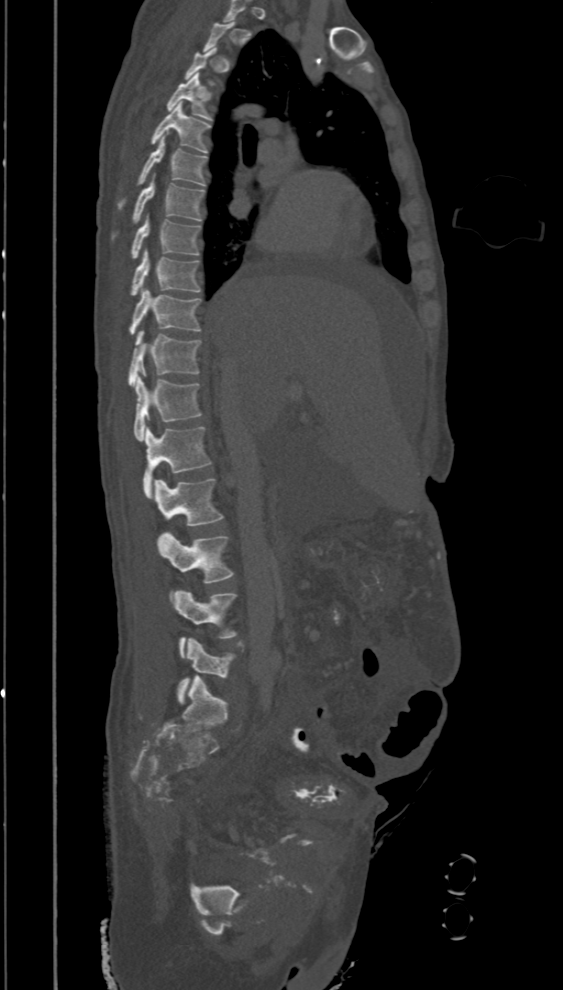 CT spine; sagittal reformat; the image is 394 mm wide

Boxes: x1:y1:x2:y2 in pixels. Each vertebra is boxed only on the slices from the first to the last where its cross-section reaches a third of its largest, so a slice outside that range leaves it unboxed. Vertebrae labeled: T4 at 167:73:211:121, T5 at 152:102:210:152, T6 at 119:135:208:208, T7 at 113:176:205:238, T8 at 131:213:200:258, T9 at 130:249:200:295, T10 at 129:289:200:335, T11 at 128:330:201:387, T12 at 134:376:201:441, L1 at 143:426:211:498, L2 at 154:479:223:525, L3 at 157:531:233:582, L4 at 169:589:236:658, L5 at 176:637:235:703.